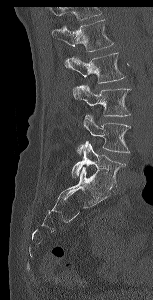

Computed tomography of the spine · sagittal view · W/L 1800/400 HU · 153x300 px
Each box given as x1,y1,x2,y2.
No box is given to a vertebra that the top edge of the scan cuts off.
| vertebra | x1 | y1 | x2 | y2 |
|---|---|---|---|---|
| L5 | 71 | 141 | 125 | 188 |
| L4 | 77 | 114 | 130 | 154 |
| L3 | 73 | 85 | 130 | 116 |
| L2 | 65 | 52 | 125 | 83 |
| L1 | 52 | 19 | 113 | 51 |